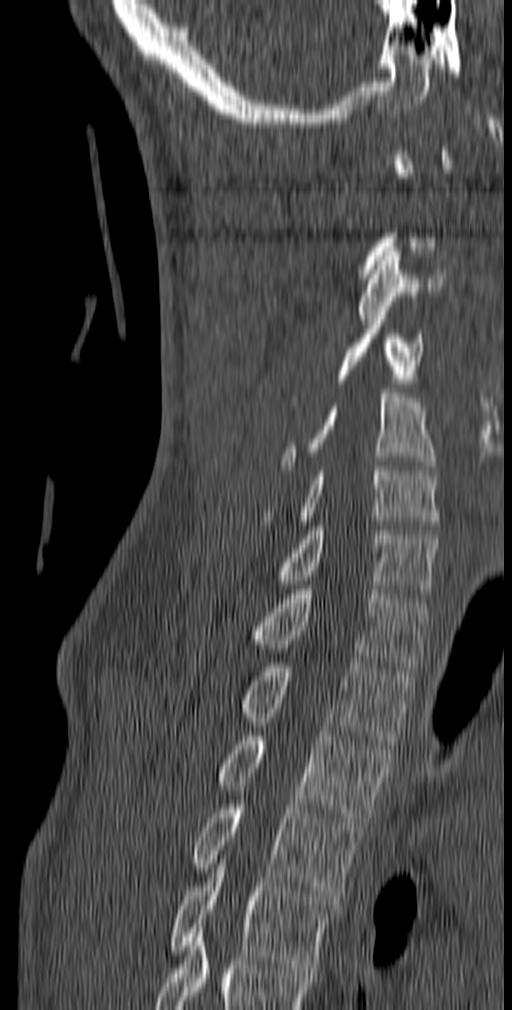
CT. sagittal view. image 140 mm wide. 512x1010 px
Each vertebra is boxed only on the slices from the first to the last where its cross-section reaches a third of its largest, so a slice outside that range leaves it unboxed.
Labels in this scan begin with C1 at the top and end with T5 at the bottom.
<vertebrae><v name="C3" x1="358" y1="247" x2="447" y2="324"/><v name="C4" x1="289" y1="306" x2="423" y2="401"/><v name="C5" x1="279" y1="389" x2="436" y2="470"/><v name="C6" x1="262" y1="466" x2="439" y2="529"/><v name="C7" x1="278" y1="526" x2="438" y2="598"/><v name="T1" x1="250" y1="585" x2="427" y2="671"/><v name="T2" x1="240" y1="658" x2="412" y2="744"/><v name="T3" x1="217" y1="731" x2="391" y2="826"/><v name="T4" x1="192" y1="800" x2="363" y2="900"/><v name="T5" x1="169" y1="864" x2="333" y2="968"/></vertebrae>